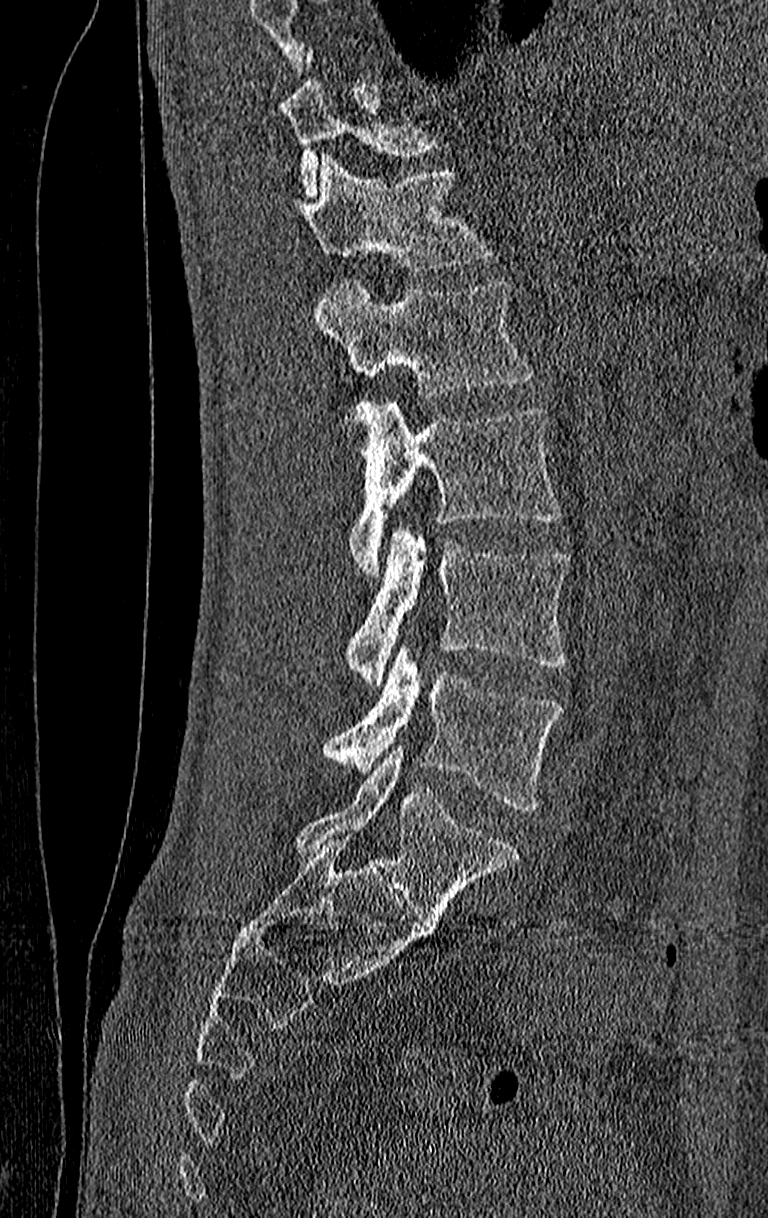 Spine computed tomography; sagittal reformat

Bounding boxes as [x1, y1, x2, y2] in pixel coordinates.
Where the top of the scan cuts through a vertebra, that vertebra gets no label or box.
In this scan, the topmost labeled vertebra is T11 and the lowest is L4.
Vertebra bounding boxes:
- T11: [280, 53, 444, 193]
- T12: [302, 153, 495, 274]
- L1: [313, 278, 532, 399]
- L2: [346, 403, 565, 573]
- L3: [346, 528, 572, 684]
- L4: [320, 648, 565, 812]